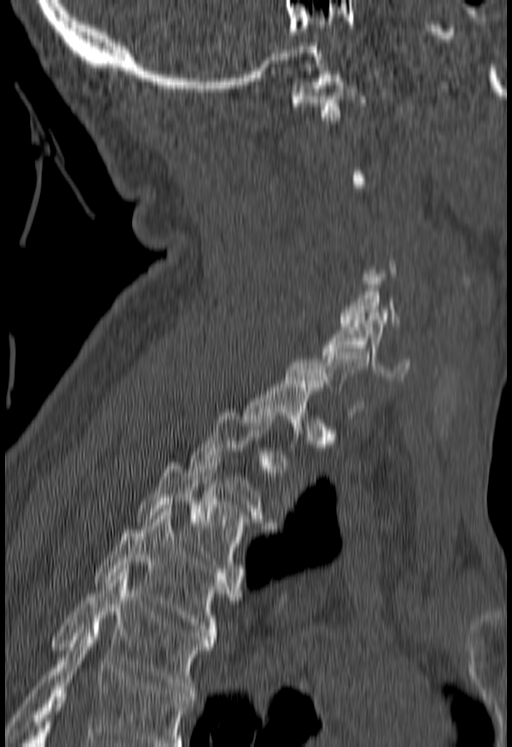
CT spine — sagittal view — W/L 1800/400 HU
Coordinates as <box>x1,y1,x2,y2</box>.
Not every vertebra on this slice has a box: a vertebra is boxed only from the first to the last slice where its cross-section is at least a third of its largest, and this slice is outside that range for at least one of them.
Vertebrae that run past the bottom of the scan are left unlabeled.
C1: <box>291,71,367,120</box>
C6: <box>321,316,409,379</box>
T3: <box>137,459,245,571</box>
T4: <box>95,512,239,639</box>
T5: <box>52,569,213,696</box>